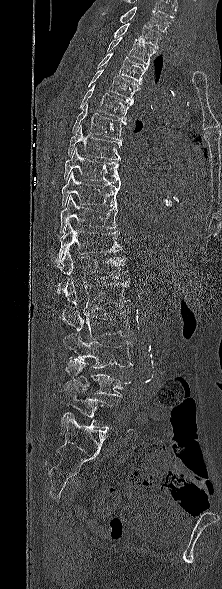
Spine CT · sagittal view · 222x589 px
Labels in this scan begin with T1 at the top and end with L5 at the bottom.
<vertebrae><v name="T1" x1="113" y1="23" x2="161" y2="48"/><v name="T2" x1="106" y1="37" x2="155" y2="65"/><v name="T3" x1="97" y1="52" x2="147" y2="84"/><v name="T4" x1="88" y1="69" x2="140" y2="101"/><v name="T5" x1="79" y1="84" x2="132" y2="120"/><v name="T6" x1="72" y1="103" x2="125" y2="140"/><v name="T7" x1="68" y1="125" x2="121" y2="160"/><v name="T8" x1="64" y1="148" x2="120" y2="184"/><v name="T9" x1="61" y1="172" x2="120" y2="207"/><v name="T10" x1="60" y1="195" x2="118" y2="233"/><v name="T11" x1="52" y1="221" x2="123" y2="265"/><v name="T12" x1="58" y1="249" x2="127" y2="282"/><v name="L1" x1="62" y1="278" x2="129" y2="314"/><v name="L2" x1="61" y1="306" x2="130" y2="339"/><v name="L3" x1="63" y1="333" x2="132" y2="368"/><v name="L4" x1="63" y1="357" x2="130" y2="397"/><v name="L5" x1="57" y1="389" x2="112" y2="431"/></vertebrae>